Spine computed tomography. Sagittal slice 342/512. image 190 mm wide
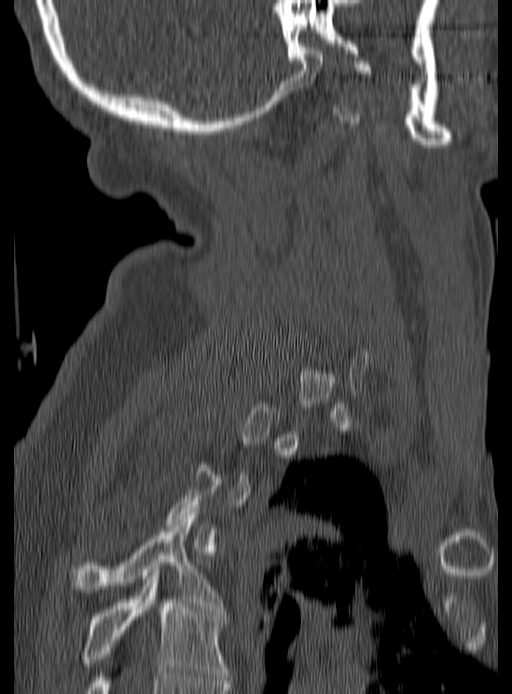

Box edges are left/top/right/bottom in pixels.
Not every vertebra on this slice has a box: a vertebra is boxed only from the first to the last slice where its cross-section is at least a third of its largest, and this slice is outside that range for at least one of them.
| vertebra | x1 | y1 | x2 | y2 |
|---|---|---|---|---|
| T4 | 71 | 512 | 221 | 609 |
| T5 | 82 | 573 | 226 | 683 |